CT spine · sagittal reformat · W/L 1800/400 HU · 512x696 px
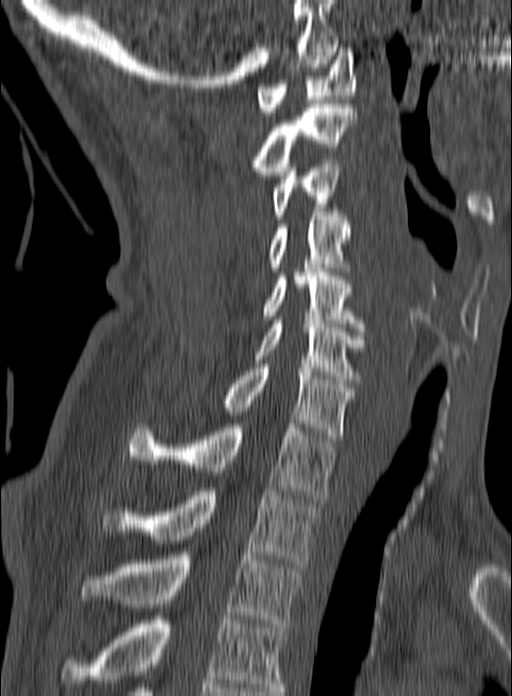

Box edges are left/top/right/bottom in pixels. The highest labeled vertebra in this scan is C1; the lowest is T3. 10 vertebrae labeled — C1 at left=257, top=48, right=355, bottom=115; C2 at left=252, top=104, right=356, bottom=175; C3 at left=273, top=160, right=340, bottom=219; C4 at left=270, top=212, right=351, bottom=275; C5 at left=262, top=268, right=363, bottom=331; C6 at left=253, top=320, right=365, bottom=383; C7 at left=222, top=364, right=354, bottom=439; T1 at left=129, top=420, right=336, bottom=499; T2 at left=102, top=488, right=317, bottom=567; T3 at left=80, top=552, right=301, bottom=627.